Spine computed tomography; sagittal plane, index 28; scan covers 14 annotated vertebrae
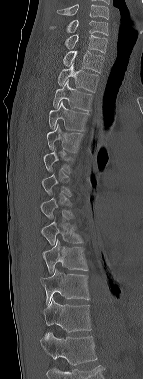 Bounding boxes as [x1, y1, x2, y2] in pixel coordinates.
Not every vertebra on this slice has a box: a vertebra is boxed only from the first to the last slice where its cross-section is at least a third of its largest, and this slice is outside that range for at least one of them.
This scan's labels start at C6 at the top and end at T12 at the bottom.
Vertebra bounding boxes:
- C6: [49, 20, 108, 35]
- C7: [65, 34, 107, 53]
- T1: [63, 51, 103, 73]
- T2: [57, 63, 98, 91]
- T3: [53, 80, 92, 110]
- T4: [49, 101, 89, 130]
- T5: [46, 124, 83, 152]
- T9: [41, 221, 82, 245]
- T10: [42, 239, 88, 273]
- T11: [40, 268, 89, 304]
- T12: [43, 299, 91, 336]